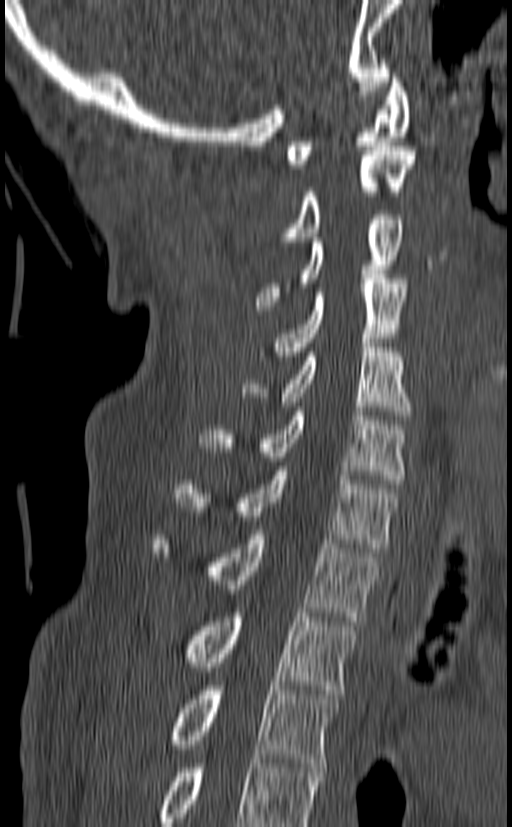

CT. image 140 mm wide. sagittal reformat
Each box is [x1, y1, x2, y2] in pixels: top-left corner, then bottom-right corner.
In this scan, the topmost labeled vertebra is C1 and the lowest is T3.
{"vertebrae":{"T3":[170,686,338,767],"T2":[184,608,357,694],"T1":[152,530,377,621],"C7":[177,466,399,552],"C6":[198,407,406,484],"C5":[242,343,410,420],"C4":[272,274,407,360],"C3":[256,215,403,314],"C2":[280,146,415,241],"C1":[286,73,410,168]}}